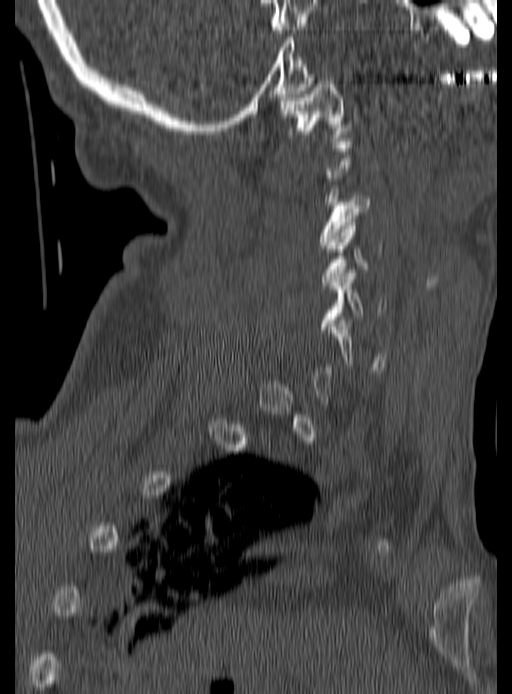
CT. sagittal reformat. 190 mm across the image. Box edges are left/top/right/bottom in pixels.
Each vertebra is boxed only on the slices from the first to the last where its cross-section reaches a third of its largest, so a slice outside that range leaves it unboxed.
C1: left=279, top=81, right=351, bottom=144
C3: left=318, top=182, right=370, bottom=245
C4: left=322, top=222, right=383, bottom=285
C5: left=321, top=269, right=387, bottom=329